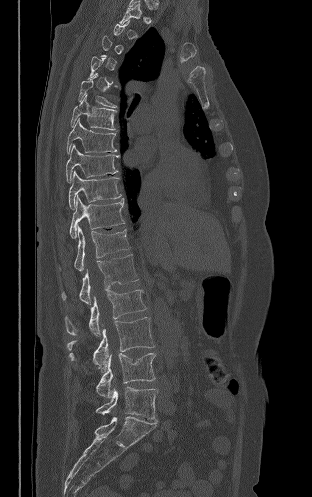 CT spine · sagittal view · 312 mm across the image · bone-window reconstruction
Coordinates as <box>x1,y1,x2,y2</box>. Each vertebra is boxed only on the slices from the first to the last where its cross-section reaches a third of its largest, so a slice outside that range leaves it unboxed. Vertebrae labeled: L5 at <box>96,386,157,419</box>, L4 at <box>96,353,155,398</box>, L3 at <box>67,317,154,371</box>, L2 at <box>65,289,146,336</box>, L1 at <box>61,254,138,304</box>, T12 at <box>74,226,129,271</box>, T11 at <box>69,195,124,238</box>, T10 at <box>68,170,121,209</box>, T9 at <box>66,144,118,182</box>, T8 at <box>66,118,116,153</box>, T7 at <box>70,94,116,130</box>, T6 at <box>79,73,117,107</box>.